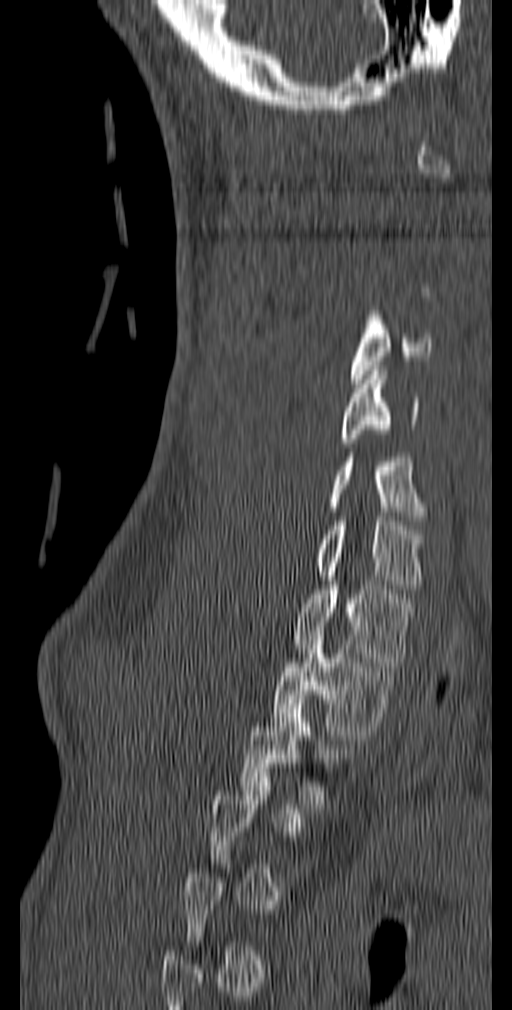
CT · sagittal view · Bone window (WL 400, WW 1800) · the image is 140 mm wide · 512x1010 px
Box values are [left, top, right, bottom] in pixels.
Each vertebra is boxed only on the slices from the first to the last where its cross-section reaches a third of its largest, so a slice outside that range leaves it unboxed.
{"vertebrae":{"C4":[351,311,432,383],"C5":[340,366,419,447],"C6":[327,453,425,525],"C7":[316,521,424,589],"T1":[292,585,414,666],"T2":[270,645,400,740],"T3":[239,695,354,804]}}